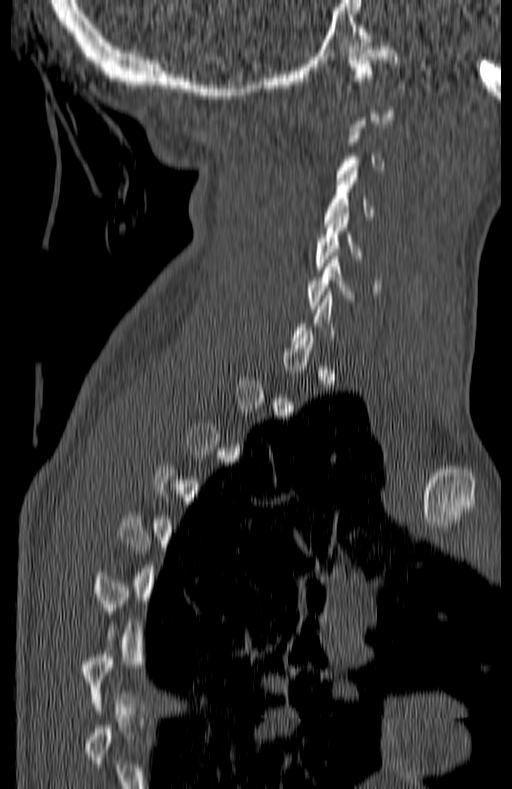
Computed tomography of the spine. sagittal view. 512x789 px
Boxes: x1:y1:x2:y2 in pixels. A vertebra gets a box only on the slices from the first to the last where its cross-section is at least a third of its largest; on a slice outside that range it gets none. The labeled vertebrae in this slice are: C1 at 348:43:398:91, C4 at 325:171:375:219, C5 at 315:210:361:269, C6 at 308:256:378:308.